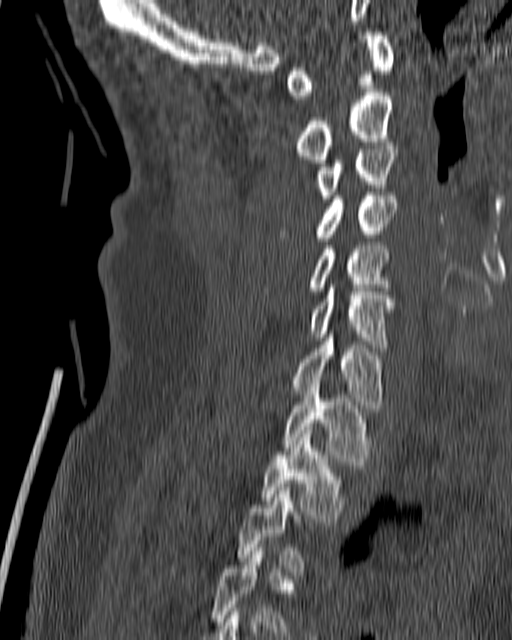 CT; 180 mm across the image; sagittal view; bone-window reconstruction
Coordinates as <box>x1,y1,x2,y2</box>.
A vertebra gets a box only on the slices from the first to the last where its cross-section is at least a third of its largest; on a slice outside that range it gets none.
Vertebra bounding boxes:
- C1: <box>285,32,394,99</box>
- C2: <box>294,92,392,163</box>
- C3: <box>311,146,398,202</box>
- C4: <box>280,192,398,241</box>
- C5: <box>265,245,390,291</box>
- C6: <box>308,284,395,347</box>
- C7: <box>291,334,384,408</box>
- T1: <box>283,384,370,465</box>
- T2: <box>260,430,347,522</box>
- T3: <box>237,484,310,575</box>